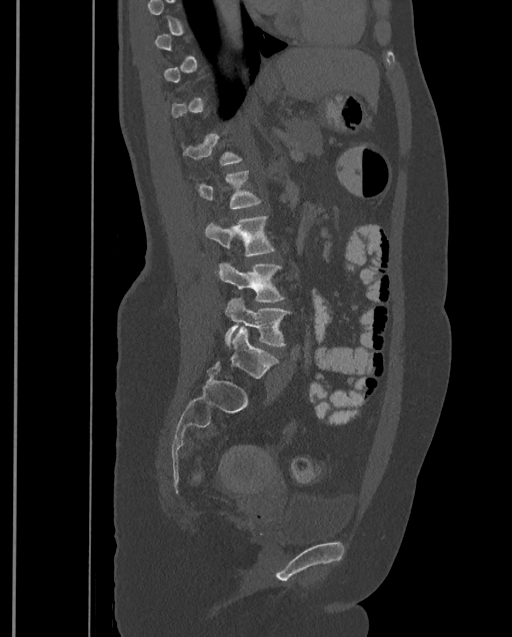

Spine computed tomography; sagittal view; 399 mm wide; bone window
Boxes are (x1, y1, x2, y2) in pixels. Each vertebra is boxed only on the slices from the first to the last where its cross-section reaches a third of its largest, so a slice outside that range leaves it unboxed. The highest labeled vertebra in this scan is T9; the lowest is L4. The labeled vertebrae in this slice are: T12 at (180, 133, 241, 165), L1 at (196, 171, 261, 208), L2 at (205, 216, 275, 275), L3 at (218, 262, 285, 302), L4 at (224, 298, 290, 347).